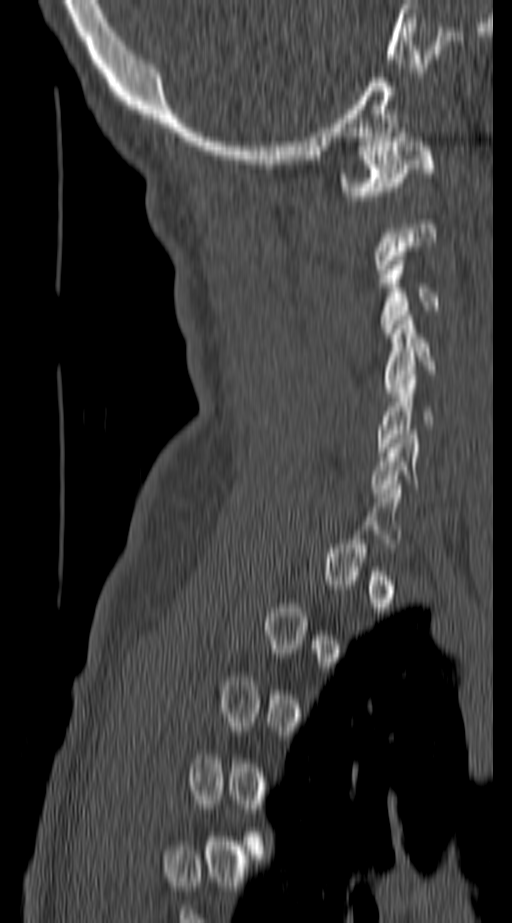
CT spine · the image is 140 mm wide · sagittal reformat · 512x923 px
Coordinates as <box>x1,y1,x2,y2</box>. A vertebra gets a box only on the slices from the first to the last where its cross-section is at least a third of its largest; on a slice outside that range it gets none. 4 vertebrae labeled — C1 at <box>341,137,436,200</box>; C3 at <box>382,256,439,337</box>; C4 at <box>385,315,436,388</box>; C5 at <box>376,370,434,452</box>.